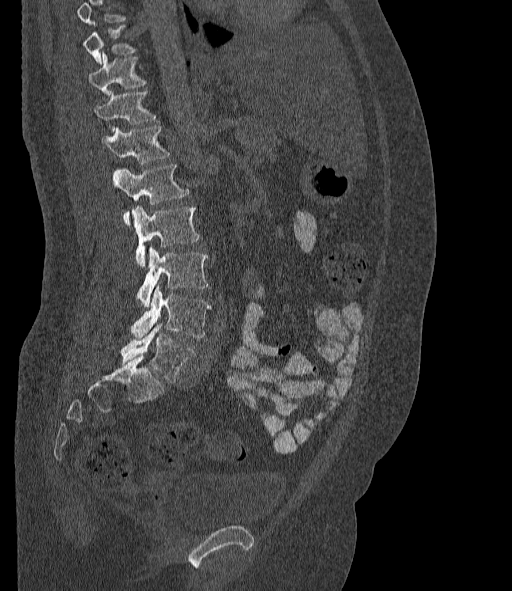 Spine computed tomography — sagittal view — bone-window reconstruction. Boxes are (x1, y1, x2, y2) in pixels.
Where the top of the scan cuts through a vertebra, that vertebra gets no label or box.
The labels name a sixth lumbar vertebra for this spine: L6, after L5.
Vertebra bounding boxes:
- L6: (121, 323, 194, 382)
- L5: (130, 287, 211, 339)
- L4: (137, 247, 208, 306)
- L3: (132, 205, 198, 267)
- L2: (113, 164, 188, 226)
- L1: (102, 125, 169, 163)
- T12: (95, 91, 155, 131)
- T11: (88, 53, 145, 94)
- T10: (83, 24, 136, 63)